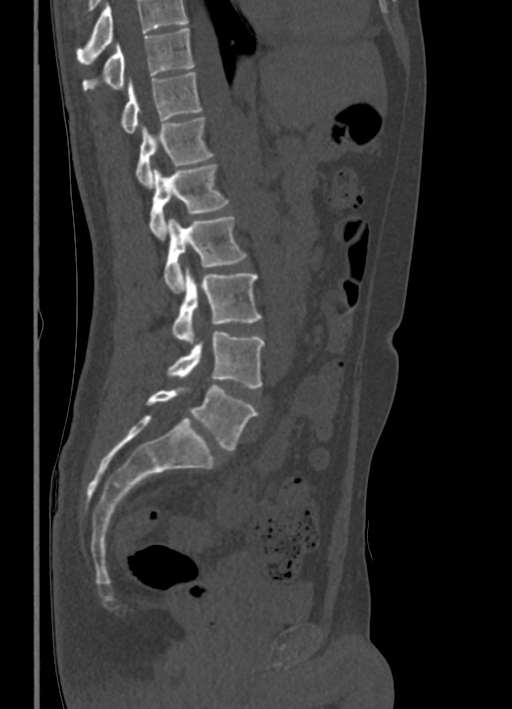 Computed tomography of the spine; sagittal view

Coordinates as <box>x1,y1,x2,y2</box>.
No box is given to a vertebra that the top edge of the scan cuts off.
T10: <box>82,27,194,90</box>
T11: <box>120,72,201,133</box>
T12: <box>135,117,214,188</box>
L1: <box>149,165,229,239</box>
L2: <box>164,216,246,293</box>
L3: <box>172,268,261,343</box>
L4: <box>167,331,264,388</box>
L5: <box>146,385,256,450</box>